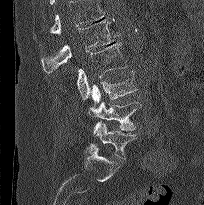
CT spine · sagittal view

Each row gives a vertebra's box as x1, y1, x2, y2 in pixels: top-left corner, then bottom-right corner.
Vertebrae that run past the top of the scan are left unlabeled.
| vertebra | x1 | y1 | x2 | y2 |
|---|---|---|---|---|
| L1 | 41 | 20 | 118 | 73 |
| L2 | 76 | 43 | 126 | 99 |
| L3 | 91 | 70 | 137 | 105 |
| L4 | 88 | 101 | 141 | 130 |
| L5 | 92 | 121 | 136 | 159 |